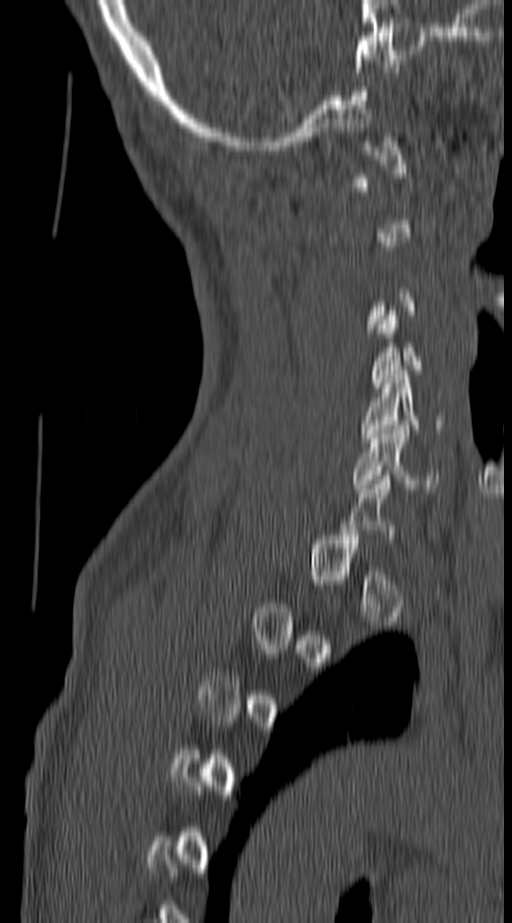
Computed tomography of the spine · sagittal view · bone-window reconstruction · image 140 mm wide
A vertebra gets a box only on the slices from the first to the last where its cross-section is at least a third of its largest; on a slice outside that range it gets none.
<vertebrae><v name="C5" x1="361" y1="370" x2="447" y2="442"/><v name="C6" x1="352" y1="425" x2="439" y2="493"/></vertebrae>